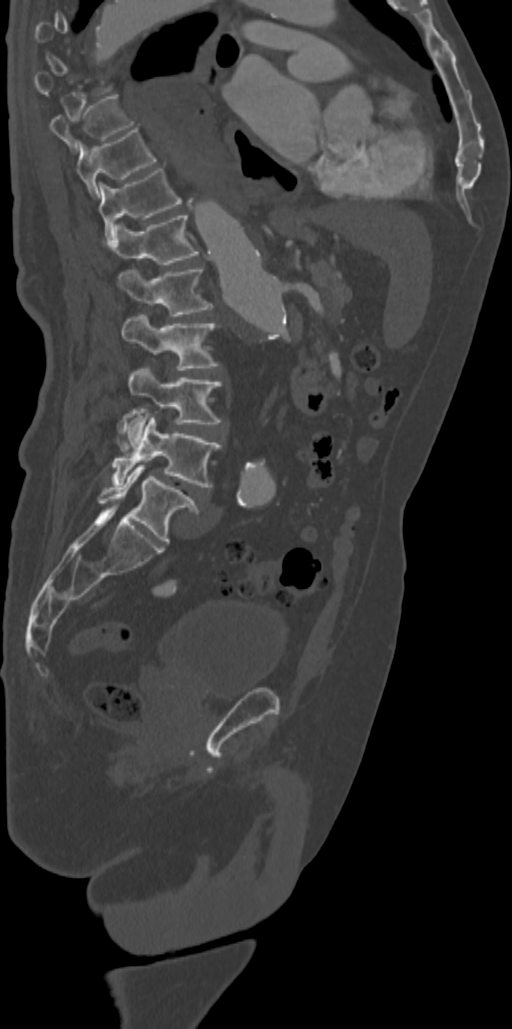
CT; image 342 mm wide; sagittal reformat
Boxes below are [x1, y1, x2, y2] in pixels.
Not every vertebra on this slice has a box: a vertebra is boxed only from the first to the last slice where its cross-section is at least a third of its largest, and this slice is outside that range for at least one of them.
{"vertebrae":{"L5":[97,465,199,543],"L4":[112,416,222,486],"L3":[128,366,222,444],"L2":[121,312,220,370],"L1":[117,267,213,316],"T12":[114,213,198,264],"T11":[99,168,183,246],"T10":[76,128,156,197],"T9":[51,94,134,154]}}